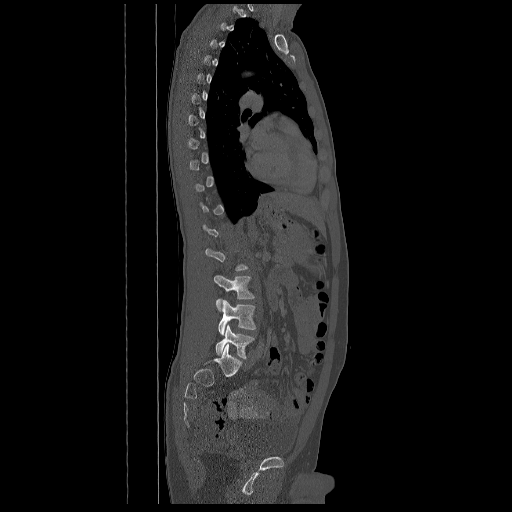 Computed tomography of the spine. sagittal view. bone-window reconstruction. 512x512 px
Box edges are left/top/right/bottom in pixels.
A vertebra gets a box only on the slices from the first to the last where its cross-section is at least a third of its largest; on a slice outside that range it gets none.
L3: left=214, top=275, right=254, bottom=311
L4: left=218, top=300, right=256, bottom=335
L5: left=216, top=324, right=254, bottom=359